CT spine. Sagittal slice 238/512. bone window. scan covers 17 annotated vertebrae
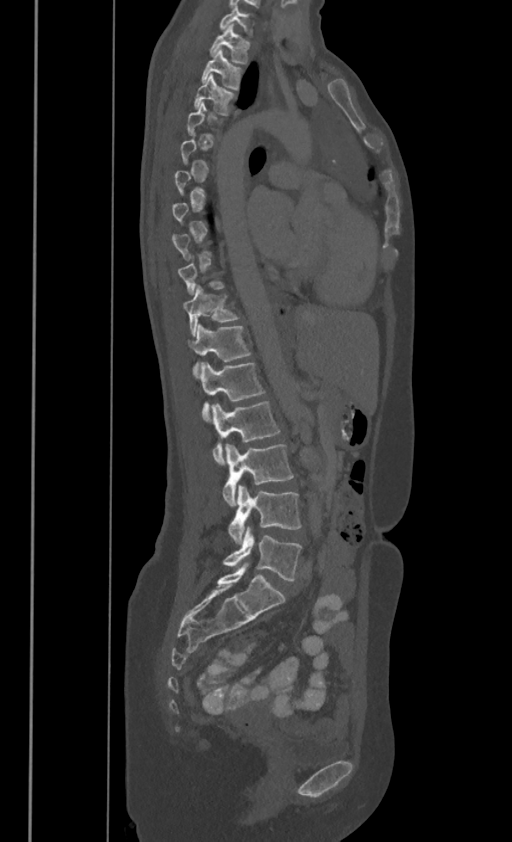
Coordinates as <box>x1,y1,x2,y2</box>.
Each vertebra is boxed only on the slices from the first to the last where its cross-section reaches a third of its largest, so a slice outside that range leaves it unboxed.
In these labels the spine has no T12: the thoracic vertebrae end at T11, and L1 comes next.
L5: <box>223,526,301,580</box>
L4: <box>228,485,300,543</box>
L3: <box>223,444,293,505</box>
L2: <box>211,400,279,465</box>
L1: <box>199,362,263,420</box>
T11: <box>188,324,250,374</box>
T10: <box>183,285,238,334</box>
T3: <box>195,74,234,114</box>
T2: <box>201,48,240,87</box>
T1: <box>209,23,248,62</box>
C7: <box>220,5,251,34</box>